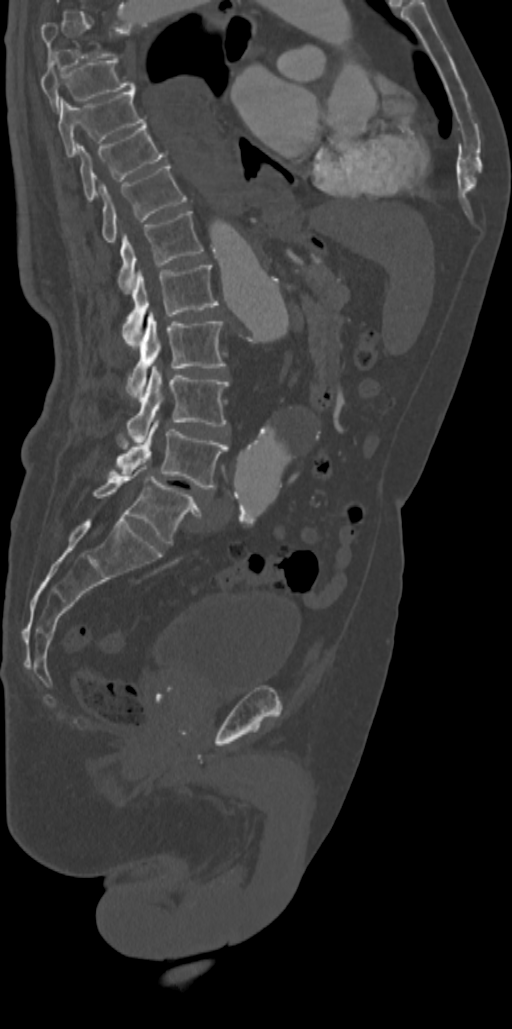

CT, spine. sagittal view
Each vertebra is boxed only on the slices from the first to the last where its cross-section reaches a third of its largest, so a slice outside that range leaves it unboxed.
<vertebrae><v name="L5" x1="93" y1="465" x2="201" y2="543"/><v name="L4" x1="111" y1="420" x2="228" y2="489"/><v name="L3" x1="126" y1="366" x2="229" y2="442"/><v name="L2" x1="127" y1="312" x2="225" y2="399"/><v name="L1" x1="123" y1="265" x2="217" y2="345"/><v name="T12" x1="118" y1="211" x2="202" y2="293"/><v name="T11" x1="99" y1="164" x2="186" y2="242"/><v name="T10" x1="76" y1="121" x2="167" y2="201"/><v name="T9" x1="58" y1="90" x2="144" y2="156"/><v name="T8" x1="40" y1="56" x2="136" y2="109"/></vertebrae>